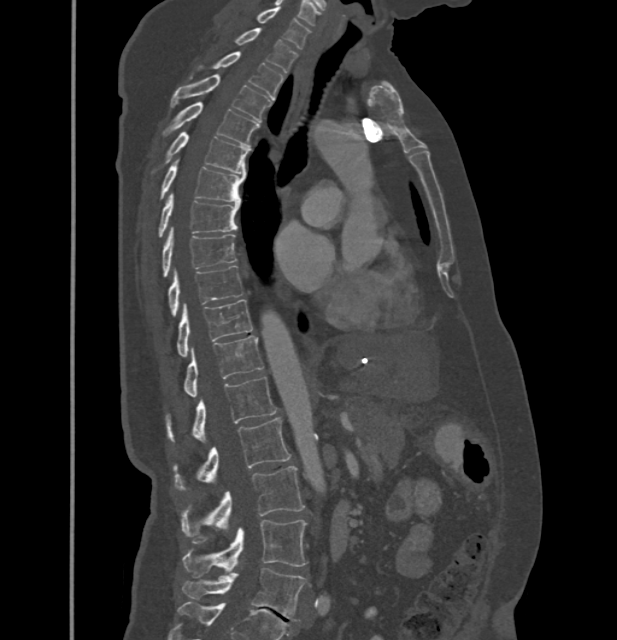
CT. sagittal reformat. bone window. 432 mm image width. Bounding boxes as [x1, y1, x2, y2] in pixel coordinates. In these labels the spine has no T12: the thoracic vertebrae end at T11, and L1 comes next. The labeled vertebrae in this slice are: L5 at [183, 567, 306, 621], L4 at [183, 520, 306, 575], L3 at [181, 466, 305, 536], L2 at [172, 417, 291, 489], L1 at [165, 376, 276, 442], T11 at [184, 336, 263, 396], T10 at [177, 299, 252, 356], T9 at [169, 266, 241, 315], T8 at [163, 227, 236, 276], T7 at [158, 193, 239, 236], T6 at [160, 159, 245, 202], T5 at [165, 132, 249, 174], T4 at [163, 102, 259, 146], T3 at [171, 75, 270, 122], T2 at [199, 52, 283, 99], T1 at [234, 27, 298, 72], C7 at [256, 7, 309, 49].